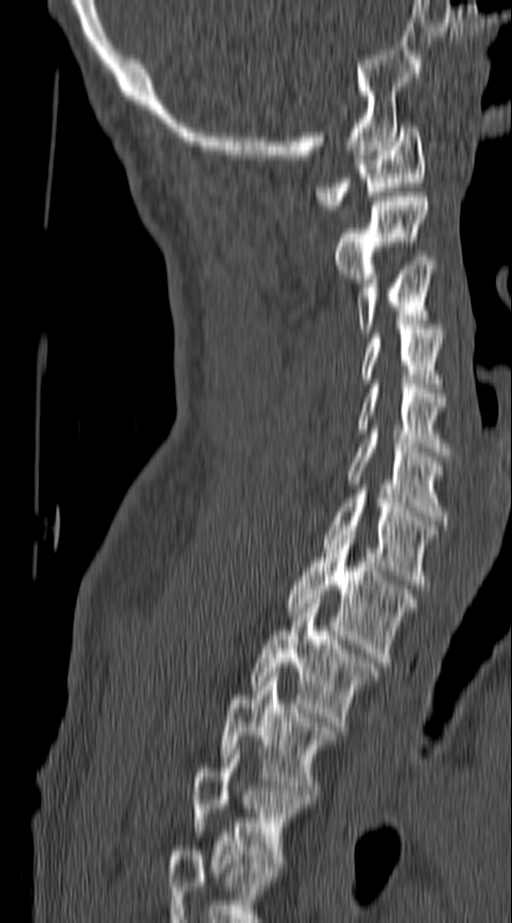

Spine CT. image 140 mm wide. sagittal view. 512x923 px
Boxes: x1:y1:x2:y2 in pixels.
In this scan, the topmost labeled vertebra is C1 and the lowest is T4.
Vertebra bounding boxes:
- T4: 192:745:308:868
- T3: 221:672:337:794
- T2: 250:599:377:726
- T1: 285:530:417:662
- C7: 323:489:436:584
- C6: 348:434:447:520
- C5: 360:384:447:456
- C4: 363:329:443:383
- C3: 356:261:435:333
- C2: 334:192:428:282
- C1: 316:123:425:209